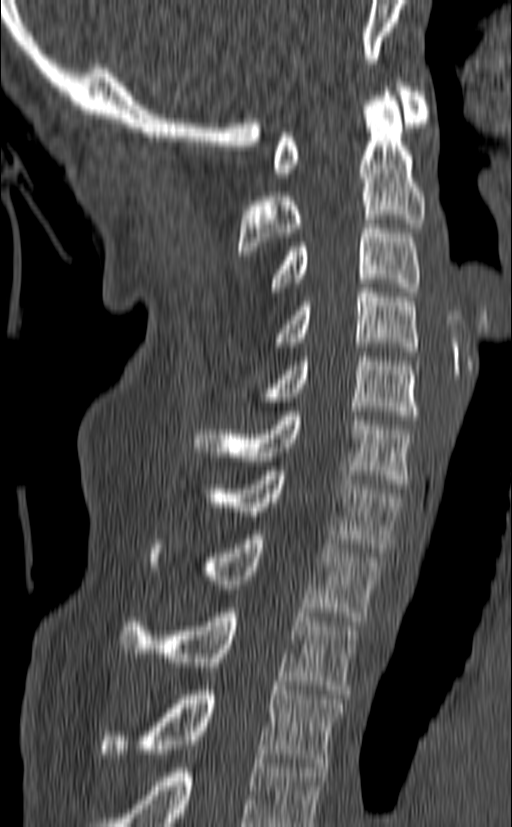 Computed tomography of the spine — image 140 mm wide — sagittal view

Each box given as x1,y1,x2,y2. In this scan, the topmost labeled vertebra is C1 and the lowest is T3. Vertebrae labeled: C1 at x1=273, y1=78, x2=428, y2=177, C2 at x1=238, y1=87, x2=425, y2=255, C3 at x1=271, y1=219, x2=420, y2=296, C4 at x1=276, y1=288, x2=417, y2=356, C5 at x1=239, y1=352, x2=417, y2=420, C6 at x1=195, y1=411, x2=414, y2=488, C7 at x1=217, y1=466, x2=403, y2=552, T1 at x1=149, y1=530, x2=381, y2=621, T2 at x1=119, y1=608, x2=357, y2=694, T3 at x1=101, y1=686, x2=344, y2=767.